CT, spine — sagittal view — bone-window reconstruction — 114x198 px
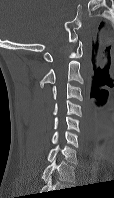 Boxes: x1:y1:x2:y2 in pixels. In this scan, the topmost labeled vertebra is C1 and the lowest is C7. 7 vertebrae labeled — C1 at 44:40:82:61; C2 at 40:60:83:86; C3 at 52:82:82:100; C4 at 53:99:81:116; C5 at 54:116:79:131; C6 at 51:130:78:147; C7 at 47:145:77:164.